Computed tomography of the spine — sagittal plane, index 103 — 152x195 px — 6 vertebrae labeled in this scan
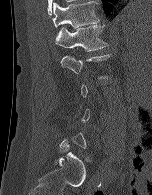
Not every vertebra on this slice has a box: a vertebra is boxed only from the first to the last slice where its cross-section is at least a third of its largest, and this slice is outside that range for at least one of them.
<vertebrae><v name="L2" x1="60" y1="54" x2="110" y2="79"/><v name="L1" x1="54" y1="25" x2="108" y2="51"/><v name="T12" x1="52" y1="1" x2="100" y2="28"/></vertebrae>